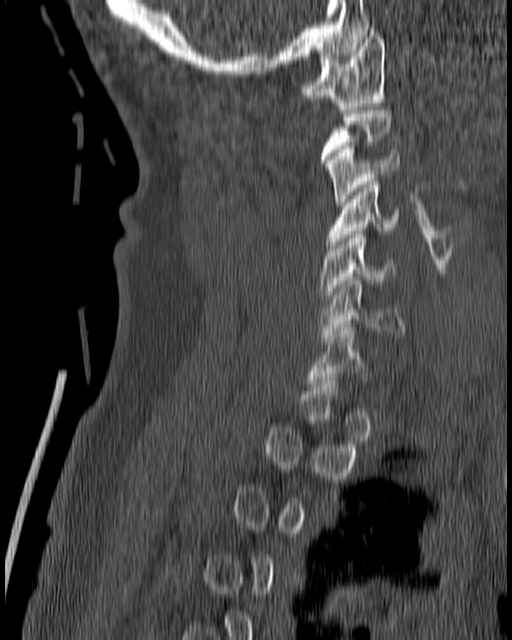
Computed tomography of the spine · 180 mm image width · sagittal view · 512x640 px

Bounding boxes as [x1, y1, x2, y2] in pixel coordinates.
A vertebra gets a box only on the slices from the first to the last where its cross-section is at least a third of its largest; on a slice outside that range it gets none.
Vertebra bounding boxes:
- C1: [300, 28, 385, 109]
- C3: [325, 146, 399, 205]
- C4: [325, 178, 398, 248]
- C5: [319, 235, 393, 301]
- C6: [319, 277, 404, 340]
- C7: [305, 324, 367, 390]